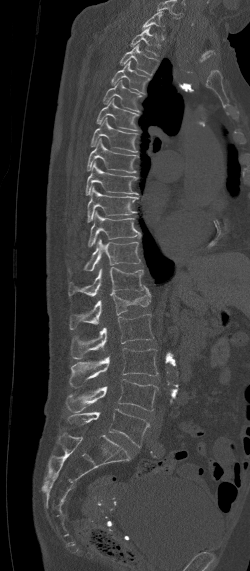
CT spine — sagittal view — image width 250 mm

Boxes: x1 y1 x2 y2 (pixel coords, space-separated).
This scan's labels start at C7 at the top and end at L5 at the bottom.
Vertebra bounding boxes:
- L5: 68 408 150 446
- L4: 66 379 158 411
- L3: 69 348 158 386
- L2: 70 314 155 358
- L1: 69 286 151 329
- T12: 68 267 144 296
- T11: 83 239 140 270
- T10: 88 211 140 246
- T9: 87 187 138 221
- T8: 86 161 138 194
- T7: 87 138 138 173
- T6: 90 116 138 152
- T5: 96 98 139 131
- T4: 104 80 141 112
- T3: 111 61 149 94
- T2: 119 43 157 74
- T1: 129 26 162 56
- C7: 141 11 165 30